Spine computed tomography — sagittal plane, index 361 — 140 mm wide — Bone window (WL 400, WW 1800) — 512x933 px — 10 vertebrae labeled in this scan
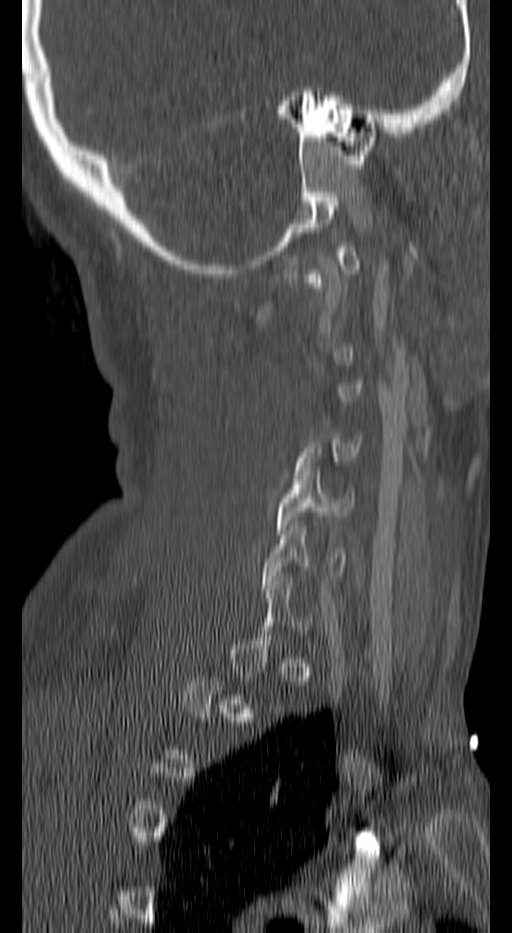 Coordinates as <box>x1,y1,x2,y2</box>. A vertebra gets a box only on the slices from the first to the last where its cross-section is at least a third of its largest; on a slice outside that range it gets none. 2 vertebrae labeled — C5 at <box>276,466,353,534</box>; C6 at <box>264,521,346,589</box>.